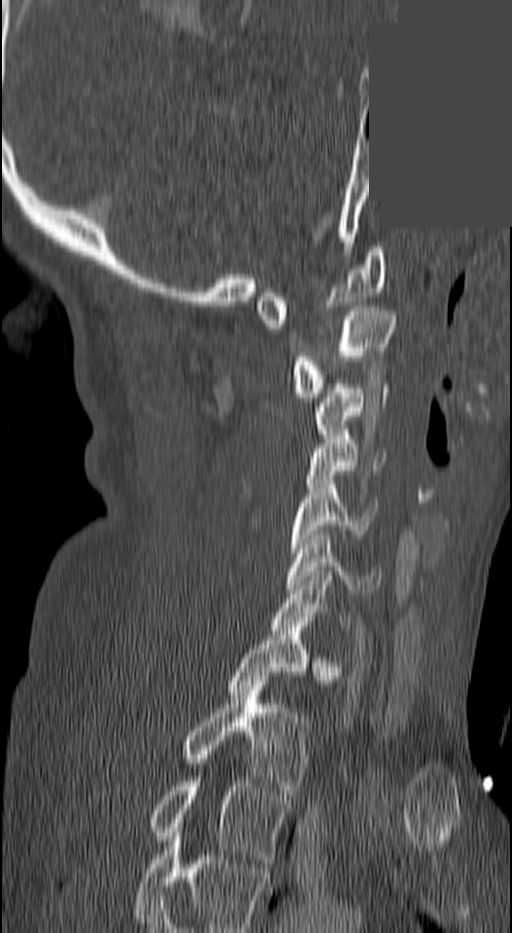 CT — sagittal reformat — bone window — a region of this slice is masked with a uniform fill
Boxes below are [x1, y1, x2, y2] in pixels.
Labels in this scan begin with C1 at the top and end with T3 at the bottom.
{"vertebrae":{"C1":[256,247,388,328],"C2":[292,306,395,397],"C3":[312,384,388,438],"C4":[305,434,386,484],"C5":[288,480,376,552],"C6":[287,535,380,598],"C7":[272,576,349,630],"T1":[228,631,337,694],"T2":[184,681,308,794],"T3":[148,777,289,863]}}